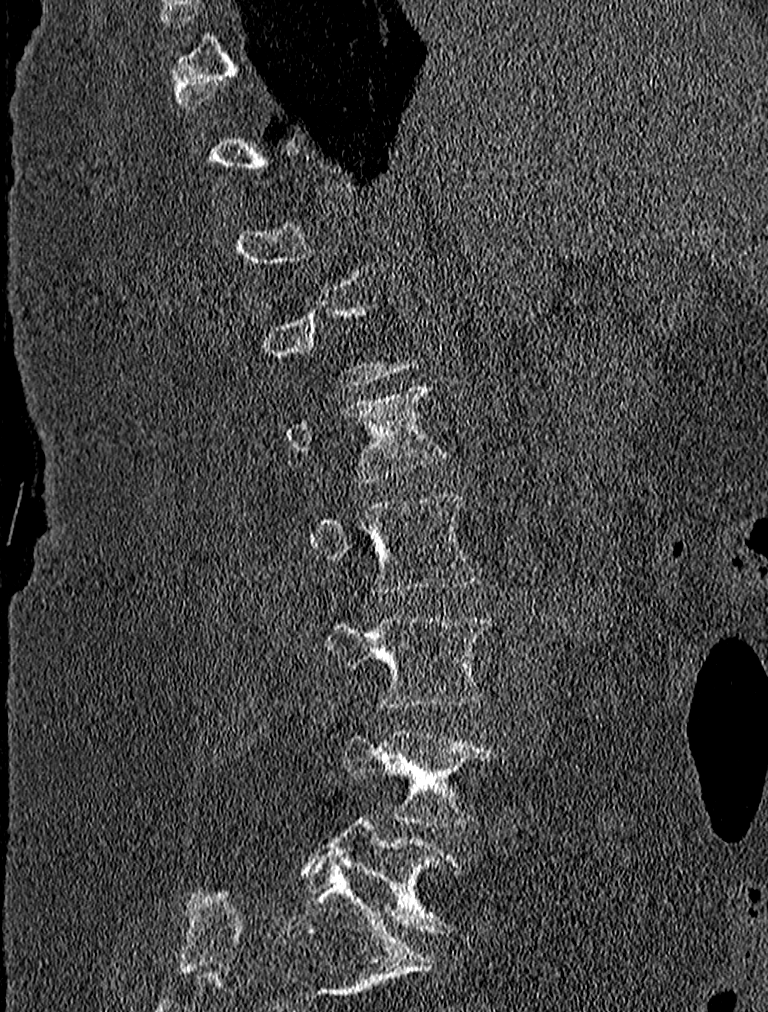 Spine CT — sagittal view
Bounding boxes as [x1, y1, x2, y2] in pixel coordinates.
Not every vertebra on this slice has a box: a vertebra is boxed only from the first to the last slice where its cross-section is at least a third of its largest, and this slice is outside that range for at least one of them.
L1: [286, 382, 448, 483]
L2: [307, 495, 482, 593]
L3: [324, 614, 495, 708]
L4: [341, 729, 497, 826]
L5: [303, 818, 461, 932]